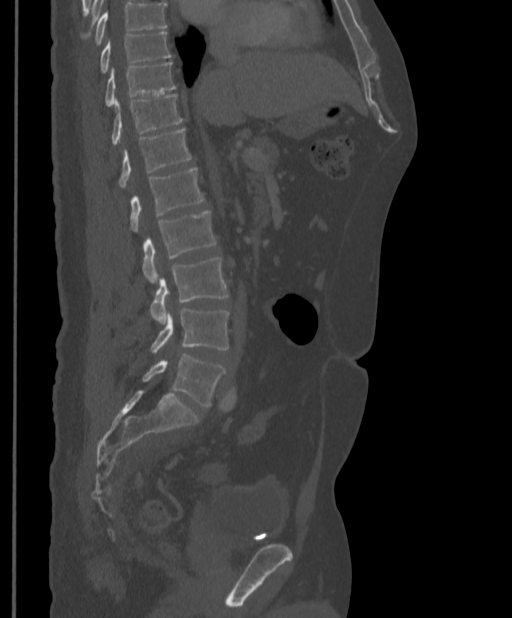
CT, spine; sagittal view; 397 mm image width
Boxes: x1 y1 x2 y2 (pixel coords, space-separated).
No box is given to a vertebra that the top edge of the scan cuts off.
L5: 142 355 226 407
L4: 151 308 228 354
L3: 149 257 228 324
L2: 142 210 217 283
L1: 130 168 204 231
T12: 119 128 191 187
T11: 111 94 182 145
T10: 104 62 176 106
T9: 99 31 172 73